Computed tomography of the spine — sagittal view — 556x545 px — scan covers 8 annotated vertebrae
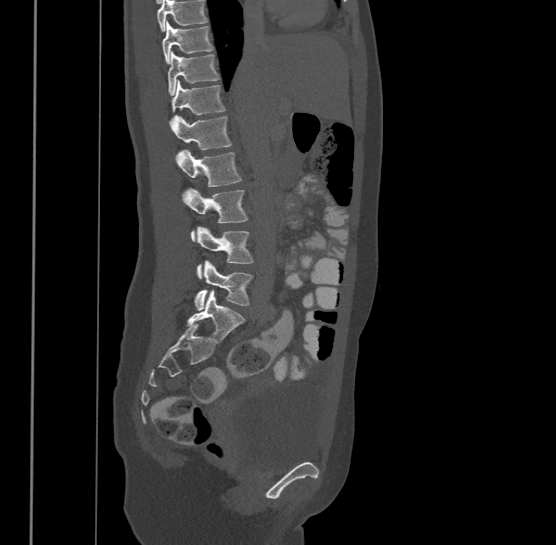 Where the top of the scan cuts through a vertebra, that vertebra gets no label or box.
This scan's labels start at T9 at the top and end at L4 at the bottom.
<vertebrae><v name="L4" x1="194" y1="260" x2="252" y2="310"/><v name="L3" x1="196" y1="225" x2="253" y2="277"/><v name="L2" x1="183" y1="188" x2="247" y2="239"/><v name="L1" x1="177" y1="148" x2="241" y2="186"/><v name="T12" x1="170" y1="115" x2="231" y2="159"/><v name="T11" x1="170" y1="80" x2="225" y2="122"/><v name="T10" x1="168" y1="51" x2="219" y2="94"/><v name="T9" x1="162" y1="21" x2="214" y2="62"/></vertebrae>